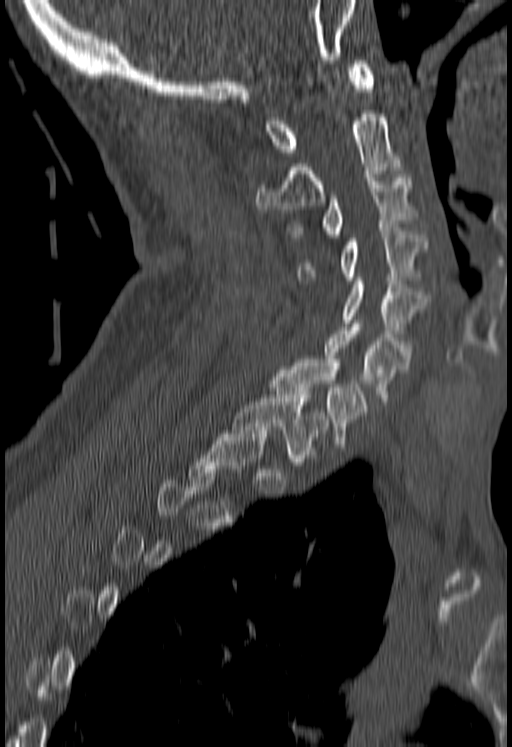 CT · sagittal view · 512x747 px
Columns x1, y1, x2, y2 give each box's top-left and bottom-right pixels.
Each vertebra is boxed only on the slices from the first to the last where its cross-section reaches a third of its largest, so a slice outside that range leaves it unboxed.
| vertebra | x1 | y1 | x2 | y2 |
|---|---|---|---|---|
| C1 | 265 | 60 | 373 | 155 |
| C2 | 257 | 114 | 398 | 212 |
| C3 | 291 | 174 | 412 | 237 |
| C4 | 298 | 228 | 427 | 283 |
| C5 | 342 | 277 | 427 | 333 |
| C6 | 324 | 324 | 410 | 394 |
| C7 | 274 | 359 | 368 | 443 |
| T1 | 233 | 391 | 328 | 461 |